Spine CT — Sagittal slice 221/512 — Bone window (WL 400, WW 1800) — 512x696 px — 160 mm image width — scan covers 10 annotated vertebrae
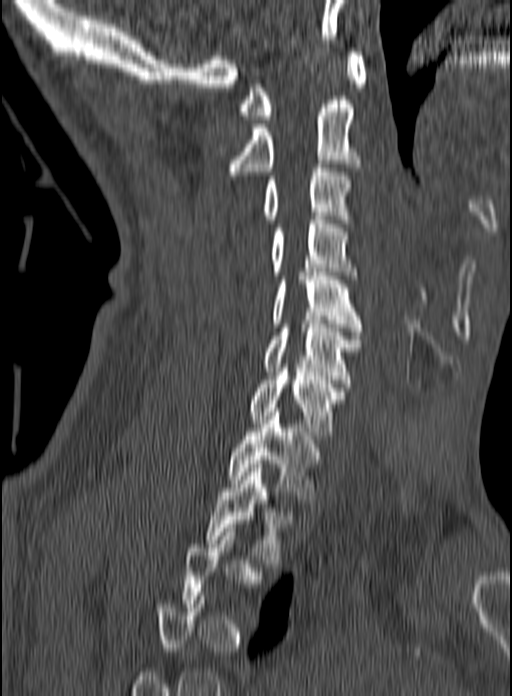 Boxes: x1:y1:x2:y2 in pixels.
A vertebra gets a box only on the slices from the first to the last where its cross-section is at least a third of its largest; on a slice outside that range it gets none.
C1: 239:52:366:119
C2: 228:100:362:175
C3: 264:164:352:223
C4: 270:220:357:279
C5: 273:272:362:335
C6: 263:320:362:383
C7: 248:368:346:435
T1: 228:408:319:503
T2: 206:464:292:563